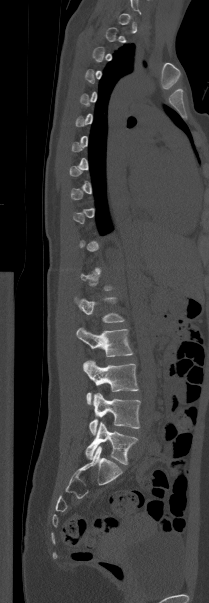
CT, spine — the image spans 209 mm across — sagittal view — 209x603 px. Boxes: x1:y1:x2:y2 in pixels.
Not every vertebra on this slice has a box: a vertebra is boxed only from the first to the last slice where its cross-section is at least a third of its largest, and this slice is outside that range for at least one of them.
Vertebra bounding boxes:
- L5: 85:421:137:464
- L4: 89:393:140:435
- L3: 83:360:138:404
- L2: 76:327:133:356
- L1: 74:296:124:322